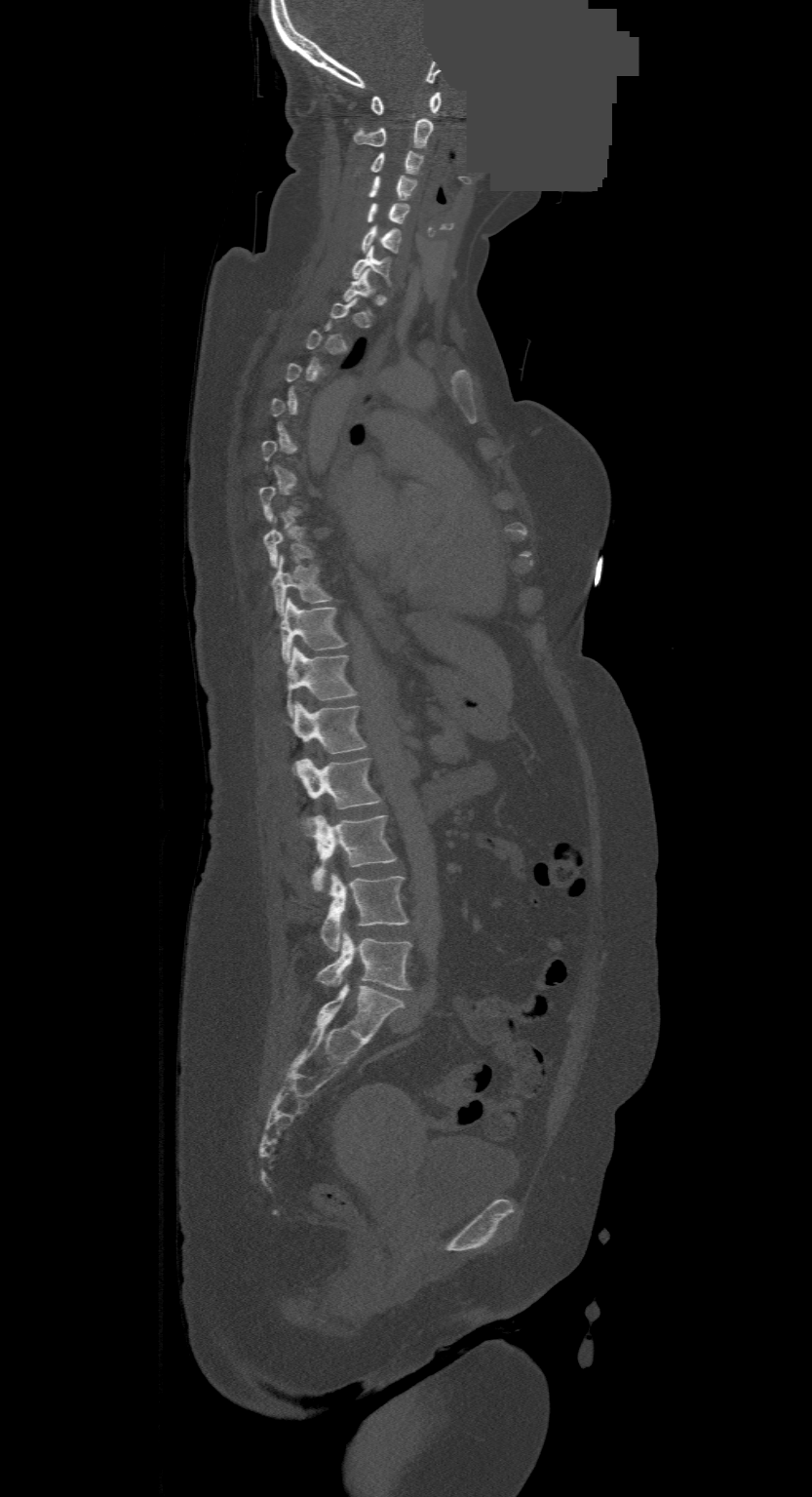
CT · sagittal view · Bone window (WL 400, WW 1800) · some of the image was removed or blocked out with constant pixels. Boxes: x1 y1 x2 y2 (pixel coords, space-separated).
A vertebra is boxed only from the first to the last slice where its cross-section is at least a third of its largest; slices outside that range leave it without a box.
The highest labeled vertebra in this scan is C1; the lowest is L4.
Vertebra bounding boxes:
- L4: 318 930 411 989
- L3: 321 873 408 950
- L2: 308 814 396 891
- L1: 296 758 381 808
- T12: 290 701 366 754
- T11: 286 648 355 716
- T10: 279 599 345 662
- T9: 271 556 330 615
- T8: 263 519 313 567
- C7: 352 248 391 284
- C6: 360 226 401 253
- C5: 367 204 408 223
- C4: 368 176 416 199
- C3: 369 151 423 174
- C2: 354 119 432 149
- C1: 369 92 442 115